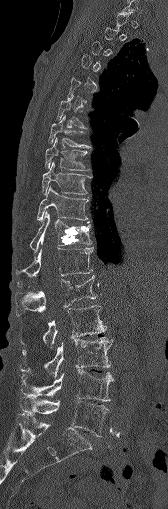 CT, spine — sagittal reformat — 168x509 px

A vertebra is boxed only from the first to the last slice where its cross-section is at least a third of its largest; slices outside that range leave it without a box.
<vertebrae><v name="T6" x1="57" y1="97" x2="86" y2="128"/><v name="T7" x1="49" y1="116" x2="88" y2="147"/><v name="T8" x1="45" y1="138" x2="88" y2="170"/><v name="T9" x1="42" y1="162" x2="89" y2="194"/><v name="T10" x1="37" y1="186" x2="88" y2="222"/><v name="T11" x1="30" y1="211" x2="92" y2="251"/><v name="T12" x1="15" y1="247" x2="93" y2="276"/><v name="L1" x1="15" y1="275" x2="96" y2="315"/><v name="L2" x1="43" y1="305" x2="105" y2="346"/><v name="L3" x1="20" y1="337" x2="111" y2="377"/><v name="L4" x1="20" y1="370" x2="113" y2="401"/><v name="L5" x1="20" y1="396" x2="109" y2="436"/></vertebrae>